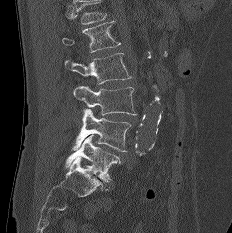

Computed tomography of the spine · sagittal reformat · the image spans 232 mm across · Bone window (WL 400, WW 1800). Each box given as x1,y1,x2,y2.
No box is given to a vertebra that the top edge of the scan cuts off.
L1: x1=62, y1=21, x2=120, y2=52
L2: x1=65, y1=53, x2=131, y2=84
L3: x1=73, y1=86, x2=136, y2=115
L4: x1=71, y1=108, x2=131, y2=151
L5: x1=65, y1=134, x2=120, y2=181